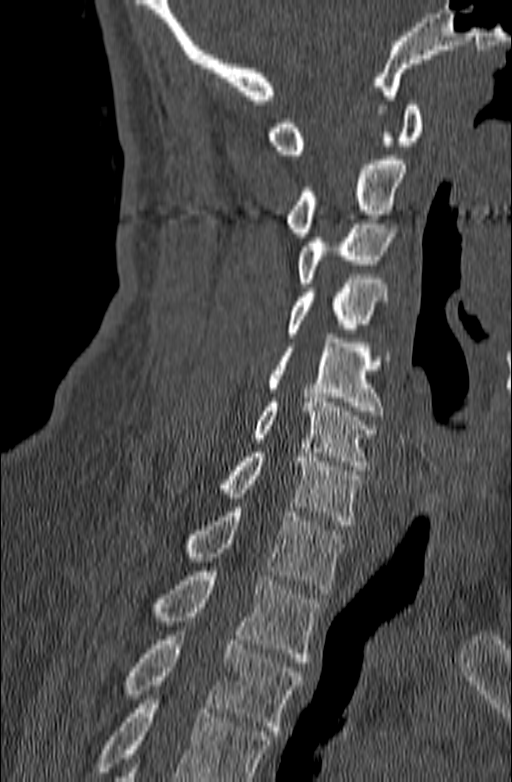 CT spine; sagittal view; 140 mm image width
Bounding boxes as [x1, y1, x2, y2] in pixel coordinates. A vertebra cut off by the bottom edge of the scan is not labeled and has no box. 10 vertebrae labeled — C1 at [268, 101, 422, 154]; C2 at [287, 155, 406, 237]; C3 at [298, 219, 394, 287]; C4 at [287, 274, 387, 337]; C5 at [268, 334, 383, 415]; C6 at [254, 393, 377, 470]; C7 at [217, 448, 362, 525]; T1 at [188, 507, 346, 593]; T2 at [153, 571, 319, 662]; T3 at [126, 631, 304, 735].